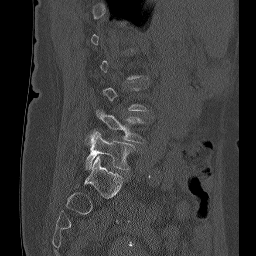
CT, spine. sagittal view. Bone window (WL 400, WW 1800). 256x256 px
Columns x1, y1, x2, y2 give each box's top-left and bottom-right pixels.
Each vertebra is boxed only on the slices from the first to the last where its cross-section reaches a third of its largest, so a slice outside that range leaves it unboxed.
| vertebra | x1 | y1 | x2 | y2 |
|---|---|---|---|---|
| L4 | 96 | 110 | 145 | 142 |
| L5 | 84 | 129 | 134 | 170 |